Computed tomography of the spine; sagittal plane, index 45; 114x198 px; the image is 114 mm wide
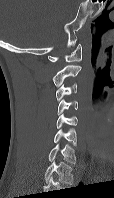

Each box given as x1,y1,x2,y2.
This scan's labels start at C1 at the top and end at C7 at the bottom.
Vertebra bounding boxes:
- C1: x1=48, y1=44, x2=81, y2=62
- C2: x1=52, y1=64, x2=81, y2=87
- C3: x1=55, y1=83, x2=77, y2=101
- C4: x1=57, y1=99, x2=77, y2=115
- C5: x1=56, y1=114, x2=77, y2=128
- C6: x1=53, y1=129, x2=76, y2=146
- C7: x1=48, y1=144, x2=76, y2=163